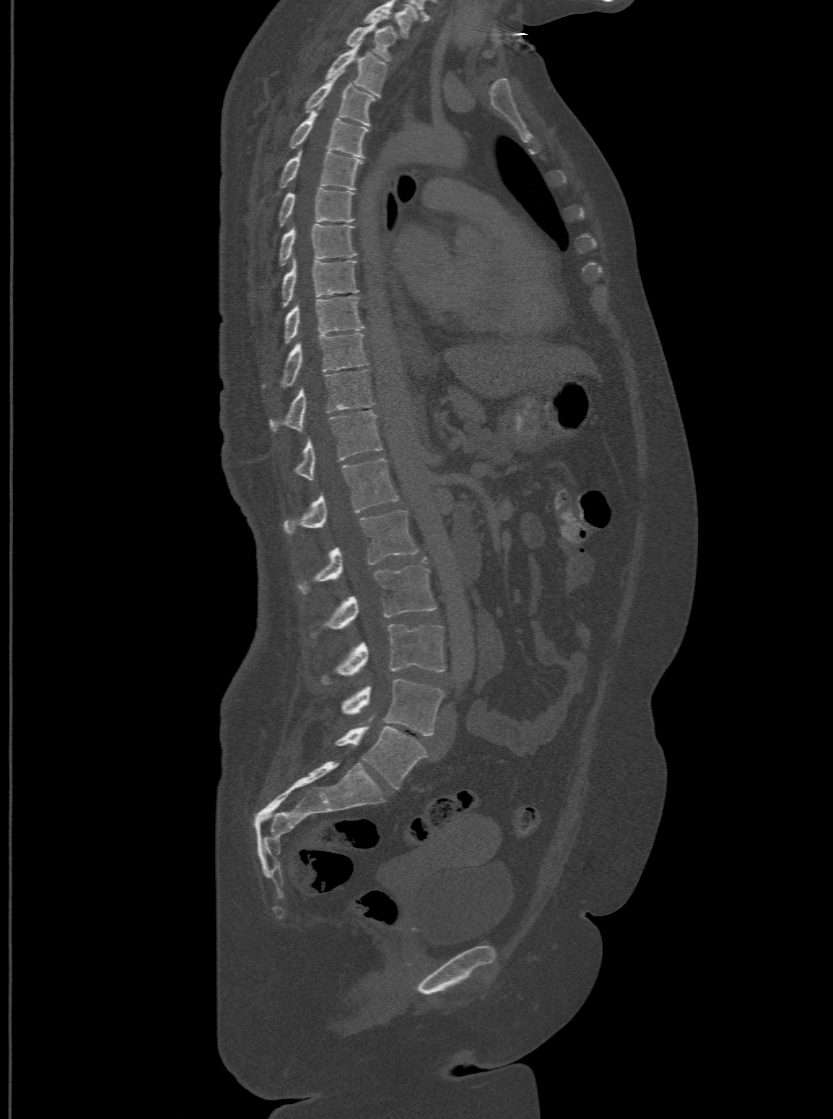 CT · the image spans 500 mm across · sagittal reformat · W/L 1800/400 HU

Each row gives a vertebra's box as x1, y1, x2, y2 in pixels: top-left corner, then bottom-right corner.
The highest labeled vertebra in this scan is T1; the lowest is L6.
The labels name a sixth lumbar vertebra for this spine: L6, after L5.
| vertebra | x1 | y1 | x2 | y2 |
|---|---|---|---|---|
| L6 | 335 | 724 | 425 | 788 |
| L5 | 342 | 679 | 443 | 735 |
| L4 | 321 | 624 | 443 | 683 |
| L3 | 309 | 558 | 435 | 637 |
| L2 | 296 | 508 | 417 | 593 |
| L1 | 283 | 457 | 398 | 534 |
| T12 | 293 | 410 | 383 | 477 |
| T11 | 269 | 368 | 373 | 429 |
| T10 | 262 | 332 | 367 | 387 |
| T9 | 283 | 295 | 364 | 342 |
| T8 | 282 | 260 | 357 | 306 |
| T7 | 278 | 223 | 355 | 266 |
| T6 | 278 | 187 | 352 | 226 |
| T5 | 278 | 150 | 362 | 187 |
| T4 | 288 | 110 | 367 | 156 |
| T3 | 303 | 73 | 375 | 124 |
| T2 | 326 | 43 | 388 | 96 |
| T1 | 345 | 20 | 398 | 61 |